Spine computed tomography · sagittal view · bone window · scan covers 18 annotated vertebrae
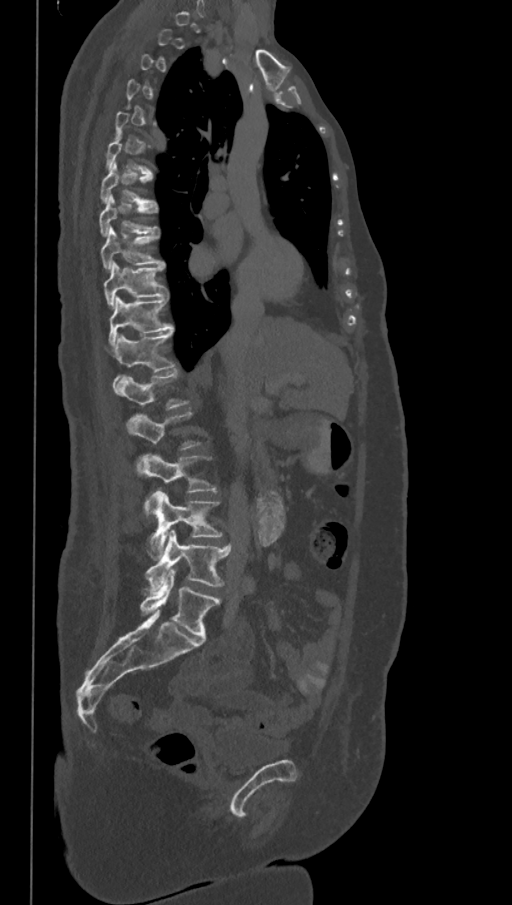

Each box given as x1,y1,x2,y2.
A vertebra gets a box only on the slices from the first to the last where its cross-section is at least a third of its largest; on a slice outside that range it gets none.
In these labels the spine has an L6, a sixth lumbar vertebra below L5.
Vertebra bounding boxes:
- T7: x1=100, y1=163, x2=156, y2=204
- T8: x1=99, y1=194, x2=157, y2=237
- T9: x1=100, y1=227, x2=164, y2=268
- T10: x1=104, y1=262, x2=167, y2=307
- T11: x1=108, y1=296, x2=173, y2=345
- T12: x1=112, y1=329, x2=175, y2=372
- L1: x1=112, y1=369, x2=188, y2=410
- L2: x1=126, y1=412, x2=199, y2=450
- L3: x1=136, y1=453, x2=217, y2=516
- L4: x1=149, y1=491, x2=223, y2=557
- L5: x1=146, y1=530, x2=231, y2=591
- L6: x1=140, y1=568, x2=220, y2=639